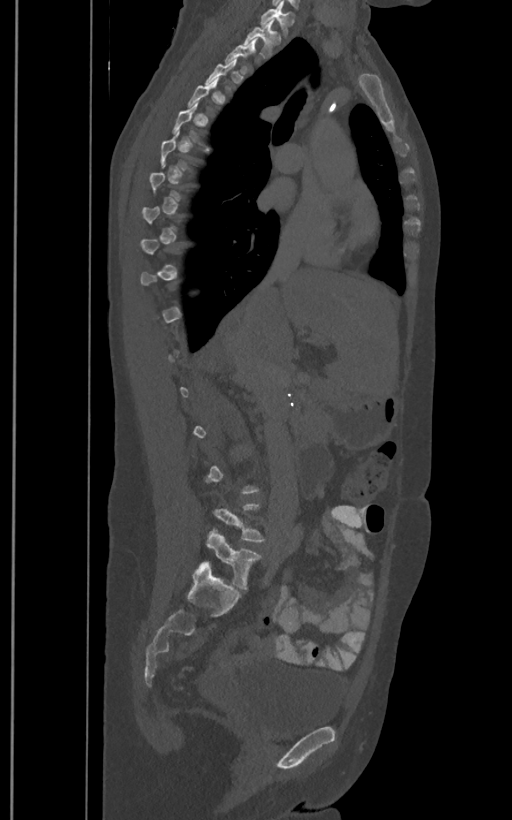

Spine computed tomography; sagittal view
Each row gives a vertebra's box as x1, y1, x2, y2 in pixels: top-left corner, then bottom-right corner.
Not every vertebra on this slice has a box: a vertebra is boxed only from the first to the last slice where its cross-section is at least a third of its largest, and this slice is outside that range for at least one of them.
These labels give the spine a sixth lumbar vertebra, L6, below L5.
| vertebra | x1 | y1 | x2 | y2 |
|---|---|---|---|---|
| L6 | 201 | 530 | 261 | 589 |
| T2 | 244 | 18 | 281 | 57 |
| T1 | 261 | 6 | 293 | 35 |